Spine CT · Sagittal slice 31/67 · 123x242 px · scan covers 8 annotated vertebrae
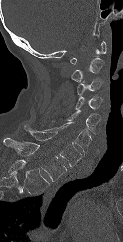

Bounding boxes as [x1, y1, x2, y2] in pixel coordinates.
The highest labeled vertebra in this scan is C1; the lowest is T1.
Vertebra bounding boxes:
- C1: [70, 41, 106, 64]
- C2: [71, 58, 104, 82]
- C3: [77, 79, 102, 95]
- C4: [75, 94, 102, 109]
- C5: [67, 110, 101, 135]
- C6: [40, 122, 91, 152]
- C7: [23, 125, 81, 166]
- T1: [3, 138, 66, 181]